CT spine. sagittal view. W/L 1800/400 HU. image width 140 mm
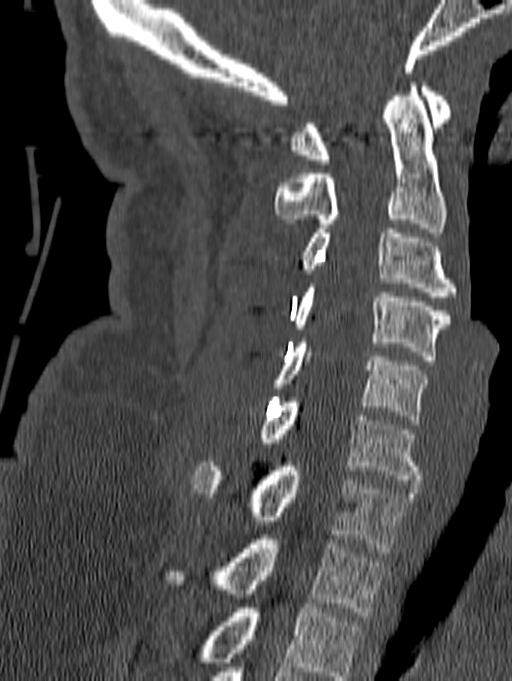 Bounding boxes as [x1, y1, x2, y2] in pixel coordinates.
In this scan, the topmost labeled vertebra is C1 and the lowest is T1.
Vertebra bounding boxes:
- T1: [160, 535, 385, 616]
- C7: [192, 462, 414, 552]
- C6: [257, 398, 421, 484]
- C5: [272, 338, 428, 424]
- C4: [290, 283, 450, 360]
- C3: [301, 229, 456, 301]
- C2: [274, 82, 447, 232]
- C1: [289, 82, 452, 164]